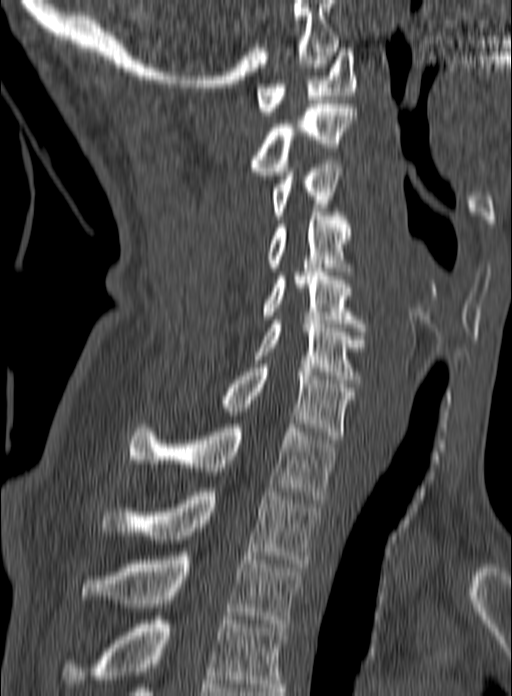
CT, spine. sagittal view. W/L 1800/400 HU. 512x696 px. Each box given as x1,y1,x2,y2.
Labels in this scan begin with C1 at the top and end with T3 at the bottom.
C1: x1=256, y1=48, x2=355, y2=115
C2: x1=249, y1=104, x2=356, y2=175
C3: x1=270, y1=160, x2=343, y2=219
C4: x1=222, y1=212, x2=352, y2=275
C5: x1=261, y1=268, x2=365, y2=331
C6: x1=252, y1=320, x2=365, y2=383
C7: x1=216, y1=364, x2=355, y2=443
T1: x1=129, y1=420, x2=337, y2=499
T2: x1=100, y1=488, x2=317, y2=567
T3: x1=80, y1=552, x2=301, y2=627